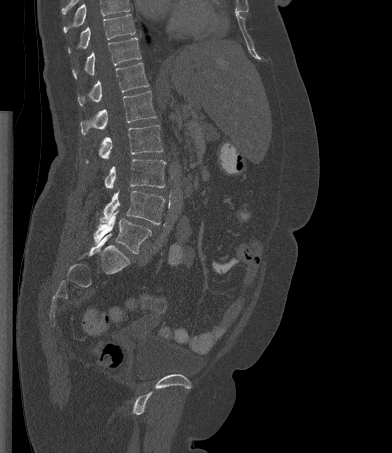

CT, spine · sagittal view · bone window
Box values are [left, top, right, bottom] in pixels.
No box is given to a vertebra that the top edge of the scan cuts off.
{"vertebrae":{"T10":[68,14,135,53],"T11":[72,37,141,78],"T12":[78,62,149,105],"L1":[80,90,156,134],"L2":[86,125,162,162],"L3":[104,159,165,188],"L4":[100,190,164,224],"L5":[94,210,151,253]}}